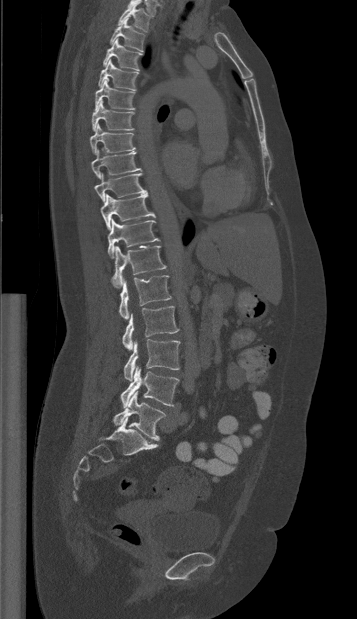

CT spine; sagittal view; 357 mm across the image; bone-window reconstruction; 357x619 px

Each vertebra maps to its box as [x1, y1, x2, y2], the pixel coordinates of its top-left and bottom-right corners.
{"vertebrae":{"T1":[118,3,150,32],"T2":[109,18,144,51],"T3":[103,38,142,70],"T4":[98,59,138,90],"T5":[95,78,134,109],"T6":[91,100,134,131],"T7":[89,124,135,154],"T8":[91,149,141,178],"T9":[94,173,145,201],"T10":[100,193,154,230],"T11":[107,219,158,257],"T12":[112,245,167,287],"L1":[119,275,171,319],"L2":[122,306,178,350],"L3":[124,339,180,380],"L4":[120,366,178,407],"L5":[113,391,165,440]}}